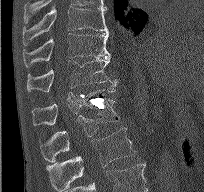

Computed tomography of the spine. sagittal view. bone window
Each box given as x1,y1,x2,y2. Vertebrae labeled: T9 at x1=23, y1=6, x2=109, y2=45, T10 at x1=23, y1=33, x2=110, y2=66, T11 at x1=26, y1=56, x2=118, y2=92, T12 at x1=32, y1=89, x2=115, y2=125, L1 at x1=39, y1=99, x2=119, y2=158, L2 at x1=46, y1=127, x2=135, y2=189.